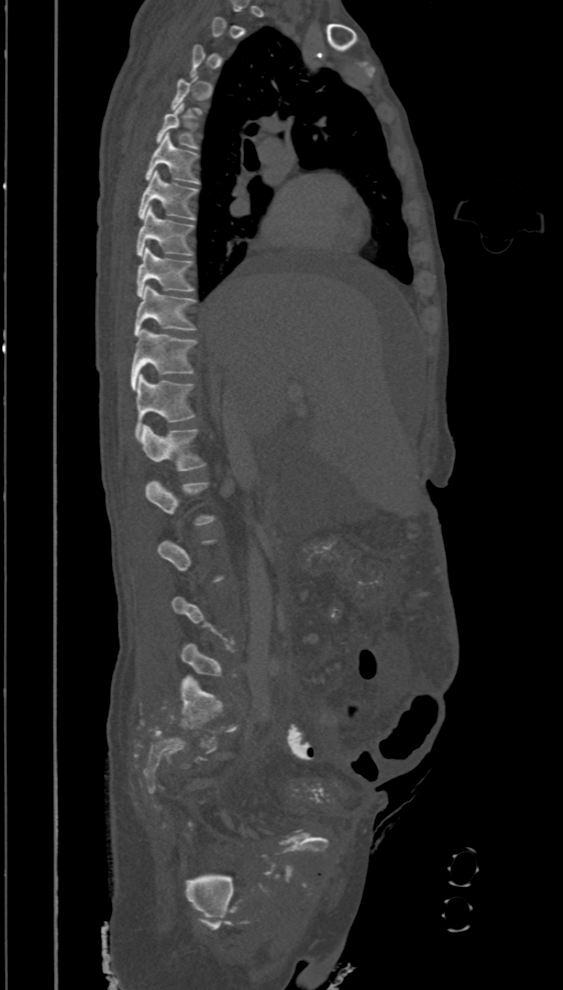
CT spine. 394 mm wide. sagittal reformat
Coordinates as <box>x1,y1,x2,y2</box>.
Not every vertebra on this slice has a box: a vertebra is boxed only from the first to the last slice where its cross-section is at least a third of its largest, and this slice is outside that range for at least one of them.
T5: <box>157,103,197,148</box>
T6: <box>145,133,199,184</box>
T7: <box>139,170,197,219</box>
T8: <box>137,206,194,256</box>
T9: <box>137,246,194,296</box>
T10: <box>134,285,196,336</box>
T11: <box>131,329,196,389</box>
T12: <box>134,373,195,438</box>
L1: <box>137,425,205,471</box>